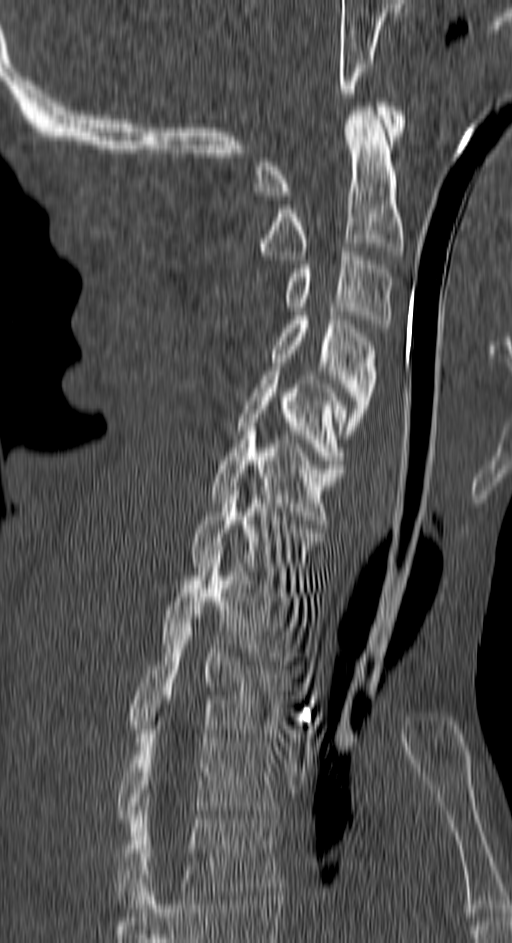
Computed tomography of the spine · sagittal view · 150 mm image width

Boxes: x1:y1:x2:y2 in pixels.
Vertebra bounding boxes:
- C1: 254:102:403:200
- C2: 257:107:403:259
- C3: 285:252:393:328
- C4: 271:316:376:438
- C5: 237:371:347:468
- C6: 209:427:345:524
- C7: 192:486:324:588
- T1: 162:555:301:660
- T2: 131:627:287:733
- T3: 117:725:280:827
- T4: 117:806:280:908